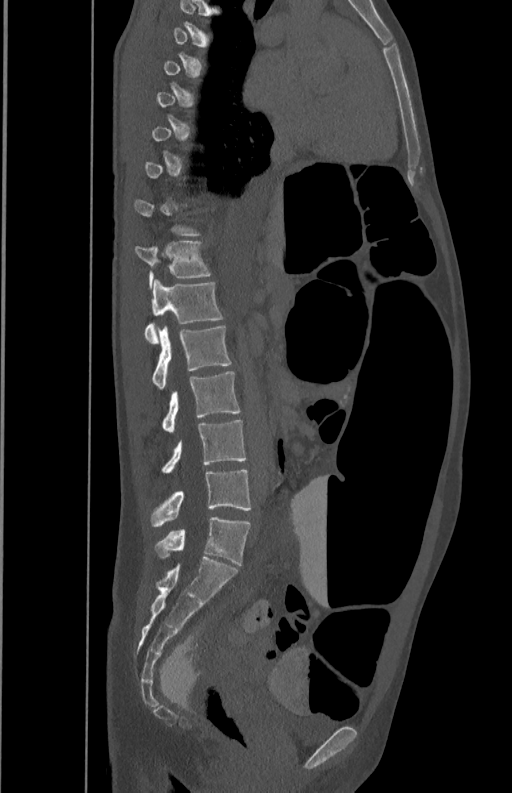
Spine computed tomography; sagittal view; bone-window reconstruction; 512x793 px
Each vertebra is boxed only on the slices from the first to the last where its cross-section reaches a third of its largest, so a slice outside that range leaves it unboxed.
<vertebrae><v name="L5" x1="150" y1="469" x2="250" y2="527"/><v name="L4" x1="161" y1="420" x2="246" y2="473"/><v name="L3" x1="162" y1="371" x2="240" y2="432"/><v name="L2" x1="152" y1="327" x2="231" y2="389"/><v name="L1" x1="145" y1="279" x2="224" y2="343"/><v name="T12" x1="134" y1="241" x2="211" y2="287"/></vertebrae>